Spine computed tomography — sagittal reformat — 371x594 px — scan covers 15 annotated vertebrae — 371 mm image width
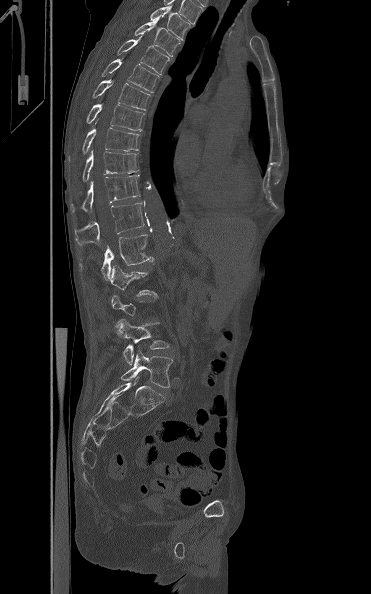

Each vertebra is boxed only on the slices from the first to the last where its cross-section reaches a third of its largest, so a slice outside that range leaves it unboxed.
<vertebrae><v name="L5" x1="121" y1="350" x2="173" y2="387"/><v name="L4" x1="115" y1="319" x2="169" y2="365"/><v name="L2" x1="110" y1="265" x2="158" y2="299"/><v name="L1" x1="80" y1="229" x2="154" y2="280"/><v name="T12" x1="75" y1="203" x2="144" y2="245"/><v name="T11" x1="70" y1="174" x2="140" y2="212"/><v name="T10" x1="82" y1="150" x2="139" y2="181"/><v name="T9" x1="82" y1="121" x2="140" y2="154"/><v name="T8" x1="86" y1="103" x2="144" y2="131"/><v name="T7" x1="92" y1="79" x2="150" y2="110"/><v name="T6" x1="101" y1="58" x2="158" y2="92"/><v name="T5" x1="117" y1="34" x2="169" y2="74"/><v name="T4" x1="134" y1="21" x2="180" y2="56"/><v name="T3" x1="150" y1="5" x2="191" y2="39"/></vertebrae>